CT spine; sagittal reformat; W/L 1800/400 HU; scan covers 16 annotated vertebrae
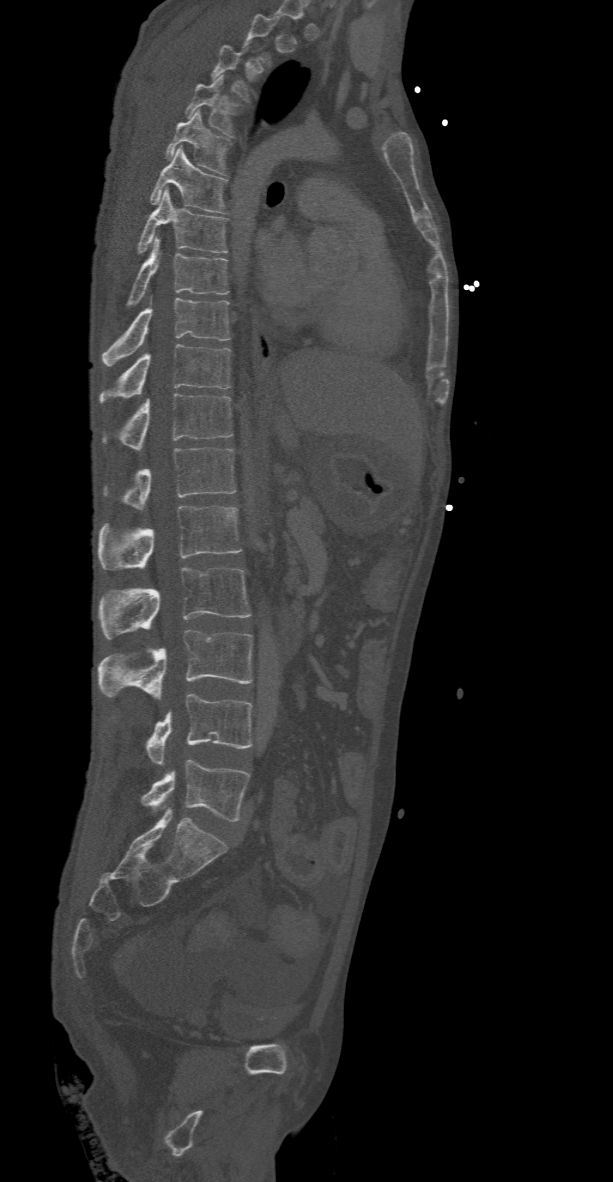

Boxes are given in columns x1, y1, x2, y2, the pixel coordinates of their top-left and bottom-right corners.
Not every vertebra on this slice has a box: a vertebra is boxed only from the first to the last slice where its cross-section is at least a third of its largest, and this slice is outside that range for at least one of them.
| vertebra | x1 | y1 | x2 | y2 |
|---|---|---|---|---|
| L5 | 141 | 759 | 248 | 821 |
| L4 | 145 | 694 | 252 | 765 |
| L3 | 98 | 629 | 252 | 700 |
| L2 | 98 | 567 | 251 | 638 |
| L1 | 98 | 506 | 241 | 570 |
| T12 | 103 | 447 | 235 | 510 |
| T11 | 103 | 394 | 233 | 450 |
| T10 | 99 | 344 | 230 | 403 |
| T9 | 102 | 297 | 230 | 366 |
| T8 | 127 | 236 | 229 | 308 |
| T7 | 137 | 189 | 227 | 253 |
| T6 | 150 | 146 | 227 | 213 |
| T5 | 165 | 109 | 230 | 175 |
| T4 | 184 | 76 | 237 | 136 |